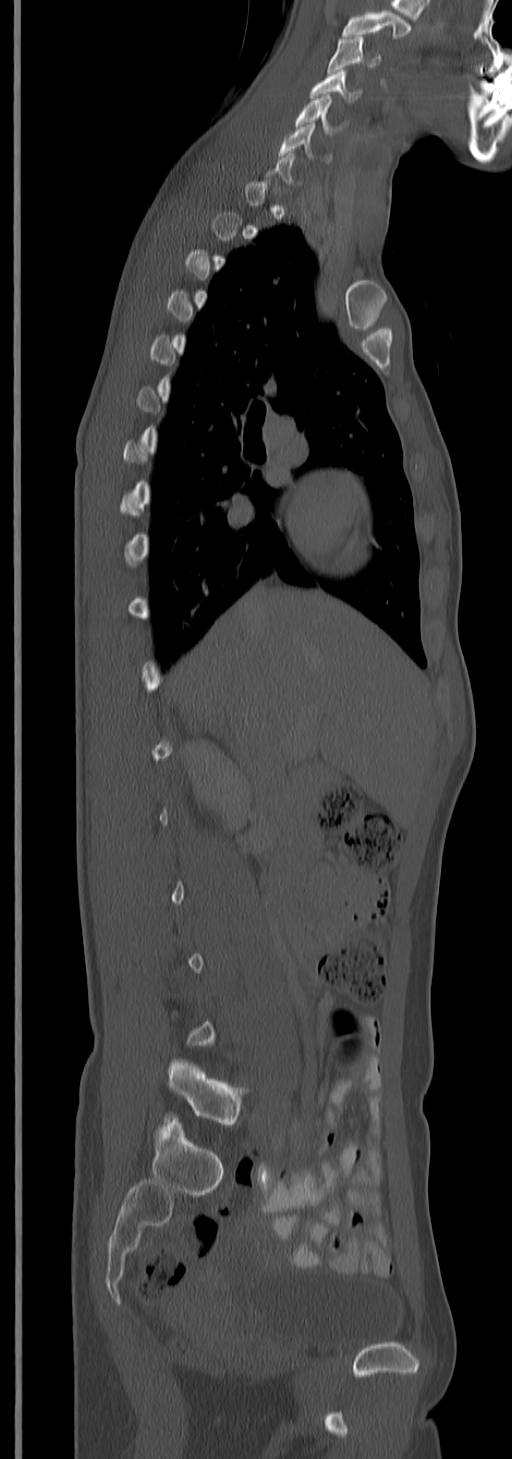

Spine CT. sagittal view. bone-window reconstruction. 512x1459 px

Not every vertebra on this slice has a box: a vertebra is boxed only from the first to the last slice where its cross-section is at least a third of its largest, and this slice is outside that range for at least one of them.
In this scan, the topmost labeled vertebra is C3 and the lowest is L5.
<vertebrae><v name="C3" x1="327" y1="36" x2="380" y2="71"/><v name="C4" x1="310" y1="70" x2="361" y2="102"/><v name="C5" x1="295" y1="95" x2="340" y2="133"/><v name="C6" x1="278" y1="123" x2="315" y2="158"/><v name="L5" x1="168" y1="1058" x2="244" y2="1126"/></vertebrae>